CT — sagittal view — bone window — 512x923 px — 11 vertebrae labeled in this scan
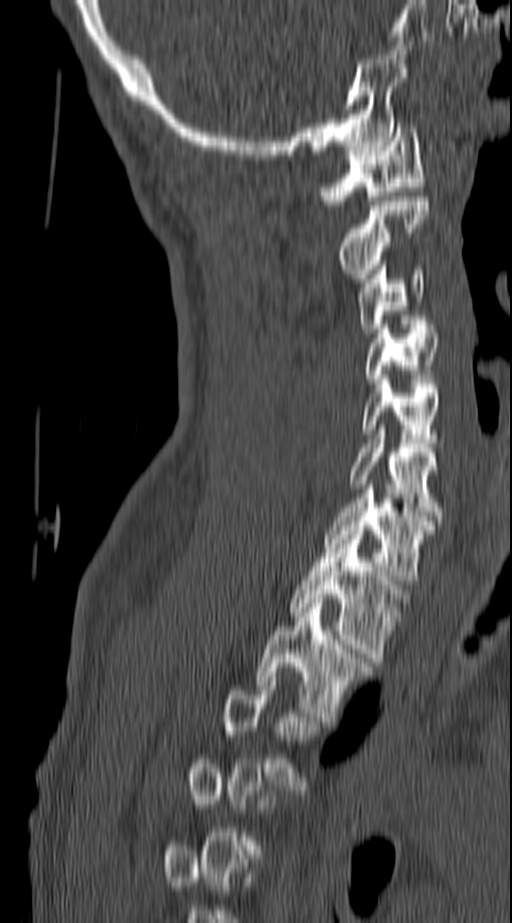 Not every vertebra on this slice has a box: a vertebra is boxed only from the first to the last slice where its cross-section is at least a third of its largest, and this slice is outside that range for at least one of them.
<vertebrae><v name="T2" x1="257" y1="599" x2="370" y2="721"/><v name="T1" x1="290" y1="530" x2="403" y2="662"/><v name="C7" x1="323" y1="485" x2="436" y2="584"/><v name="C6" x1="349" y1="430" x2="443" y2="520"/><v name="C5" x1="363" y1="379" x2="443" y2="442"/><v name="C4" x1="367" y1="325" x2="439" y2="383"/><v name="C3" x1="357" y1="261" x2="425" y2="333"/><v name="C2" x1="338" y1="197" x2="428" y2="282"/><v name="C1" x1="320" y1="123" x2="425" y2="205"/></vertebrae>